Computed tomography of the spine. sagittal plane, index 23. Bone window (WL 400, WW 1800). scan covers 9 annotated vertebrae. part of the scan has been removed (filled with constant black)
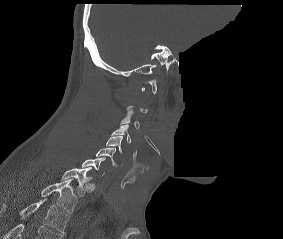 Box edges are left/top/right/bottom in pixels. Each vertebra is boxed only on the slices from the first to the last where its cross-section reaches a third of its largest, so a slice outside that range leaves it unboxed. Labels in this scan begin with C1 at the top and end with T2 at the bottom. Vertebrae labeled: T2 at left=41, top=179, right=76, bottom=213, T1 at left=61, top=167, right=92, bottom=196, C7 at left=81, top=157, right=105, bottom=176, C6 at left=96, top=148, right=117, bottom=166, C5 at left=106, top=136, right=123, bottom=152, C4 at left=111, top=124, right=131, bottom=142, C3 at left=120, top=108, right=139, bottom=128.